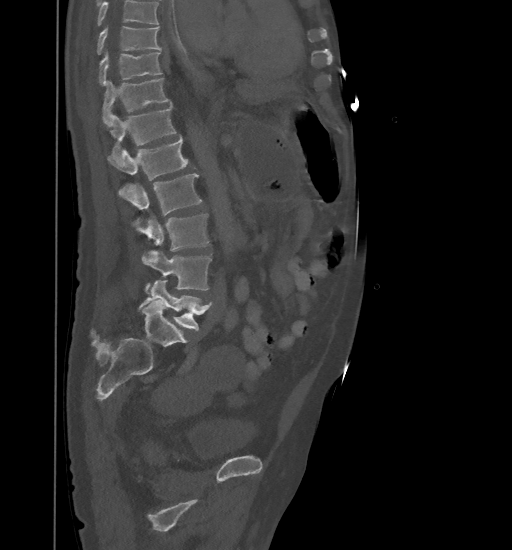
Spine computed tomography · the image is 461 mm wide · sagittal reformat · bone-window reconstruction. Boxes: x1:y1:x2:y2 in pixels.
No box is given to a vertebra that the top edge of the scan cuts off.
Vertebra bounding boxes:
- T9: 96:27:161:54
- T10: 99:51:161:85
- T11: 102:78:170:124
- T12: 108:105:175:155
- L1: 107:136:195:180
- L2: 118:173:202:215
- L3: 133:213:208:250
- L4: 142:250:212:290
- L5: 138:280:212:331